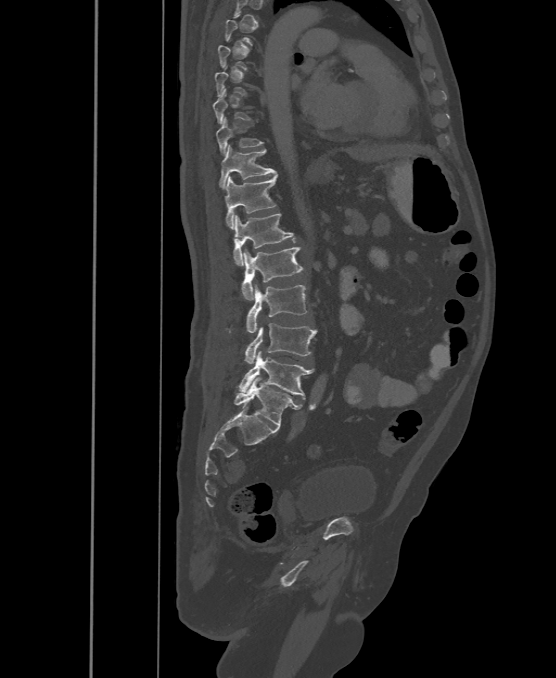 CT spine; sagittal reformat
Coordinates as <box>x1,y1,x2,y2</box>.
A vertebra is boxed only from the first to the last slice where its cross-section is at least a third of its largest; slices outside that range leave it without a box.
The labels name a sixth lumbar vertebra for this spine: L6, after L5.
Vertebra bounding boxes:
- T10: <box>216,118,264,154</box>
- T11: <box>219,145,276,188</box>
- T12: <box>225,175,277,228</box>
- L1: <box>233,214,295,265</box>
- L2: <box>241,247,304,300</box>
- L3: <box>245,285,307,333</box>
- L4: <box>244,324,317,364</box>
- L5: <box>238,351,314,399</box>
- L6: <box>234,377,302,426</box>